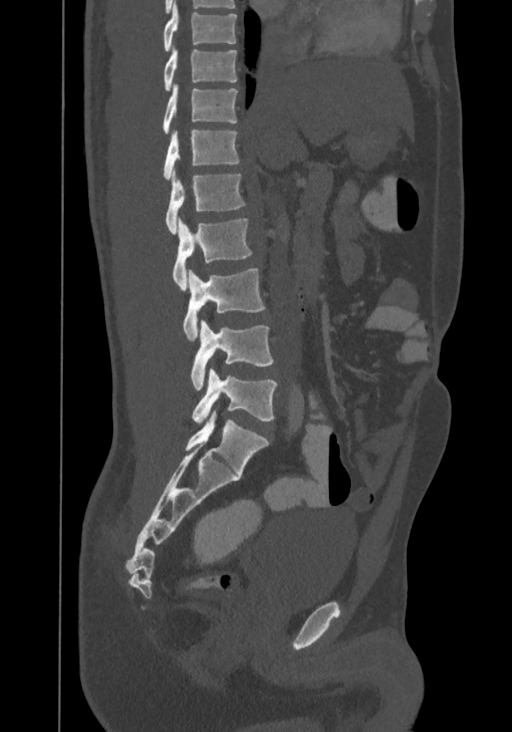

Computed tomography of the spine — sagittal view — Bone window (WL 400, WW 1800) — the image is 367 mm wide — 512x732 px
Boxes are (x1, y1, x2, y2) in pixels.
Labels in this scan begin with T8 at the top and end with L4 at the bottom.
Vertebra bounding boxes:
- T8: (163, 0, 236, 52)
- T9: (163, 39, 236, 91)
- T10: (163, 83, 237, 135)
- T11: (163, 129, 239, 180)
- T12: (165, 170, 244, 234)
- L1: (172, 218, 251, 290)
- L2: (183, 267, 265, 341)
- L3: (191, 320, 274, 389)
- L4: (192, 368, 276, 423)